Spine CT — Sagittal slice 108/222 — W/L 1800/400 HU
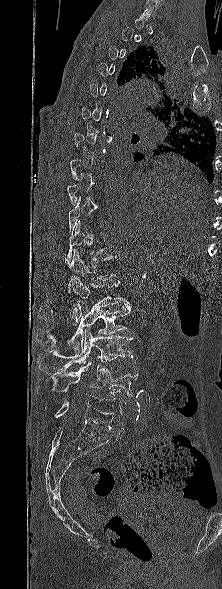
Box edges are left/top/right/bottom in pixels.
Not every vertebra on this slice has a box: a vertebra is boxed only from the first to the last slice where its cross-section is at least a third of its largest, and this slice is outside that range for at least one of them.
T11: left=65, top=220, right=102, bottom=263
T12: left=68, top=249, right=116, bottom=292
L1: left=40, top=276, right=128, bottom=324
L2: left=37, top=301, right=130, bottom=350
L3: left=39, top=329, right=133, bottom=372
L4: left=51, top=362, right=137, bottom=397
L5: left=54, top=395, right=124, bottom=430